CT, spine · sagittal view · part of the image is a flat gray fill, not anatomy
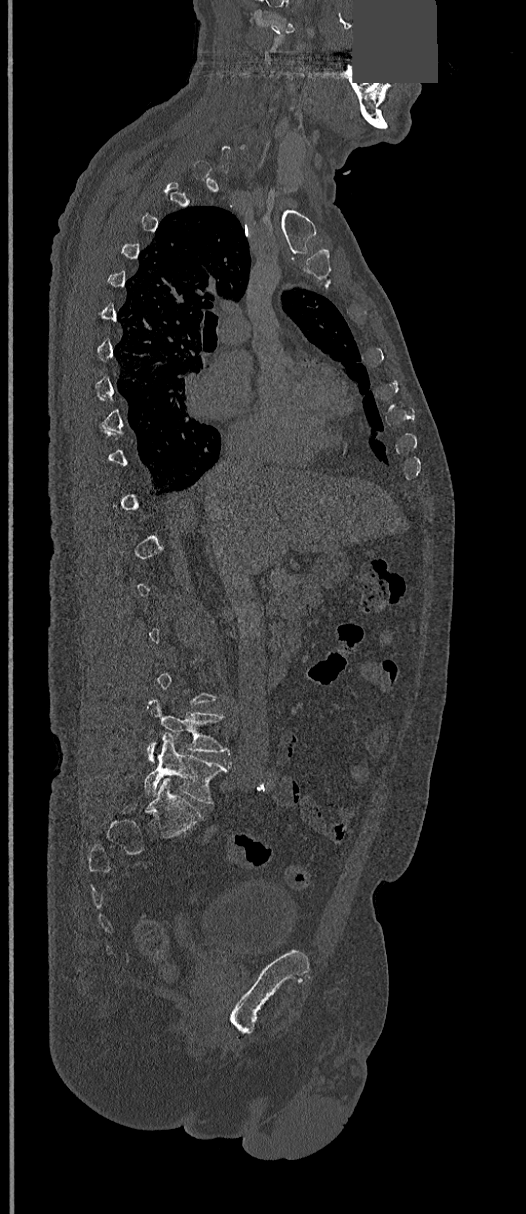

Box edges are left/top/right/bottom in pixels.
Not every vertebra on this slice has a box: a vertebra is boxed only from the first to the last slice where its cross-section is at least a third of its largest, and this slice is outside that range for at least one of them.
L5: left=144, top=736, right=229, bottom=803
L4: left=147, top=699, right=229, bottom=765